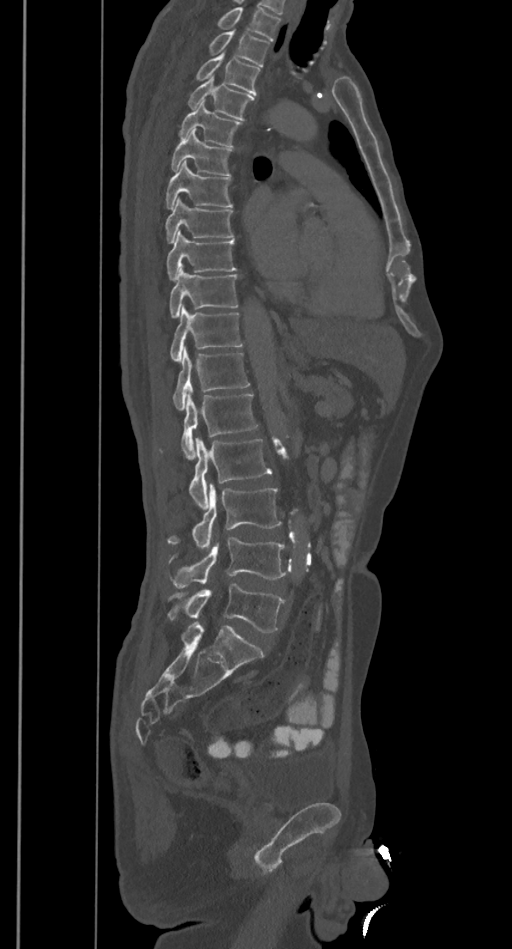 CT, spine. sagittal reformat
Boxes are given in columns x1, y1, x2, y2, the pixel coordinates of their top-left and bottom-right corners.
A vertebra cut off by the top edge of the scan is not labeled and has no box.
| vertebra | x1 | y1 | x2 | y2 |
|---|---|---|---|---|
| T2 | 207 | 30 | 269 | 66 |
| T3 | 194 | 54 | 261 | 95 |
| T4 | 186 | 77 | 254 | 120 |
| T5 | 178 | 102 | 242 | 146 |
| T6 | 170 | 130 | 233 | 175 |
| T7 | 165 | 160 | 233 | 208 |
| T8 | 165 | 197 | 234 | 243 |
| T9 | 166 | 231 | 236 | 280 |
| T10 | 169 | 268 | 238 | 316 |
| T11 | 170 | 308 | 242 | 360 |
| T12 | 173 | 348 | 250 | 410 |
| L1 | 158 | 394 | 258 | 459 |
| L2 | 189 | 438 | 271 | 508 |
| L3 | 167 | 484 | 281 | 548 |
| L4 | 169 | 537 | 289 | 587 |
| L5 | 167 | 583 | 285 | 632 |